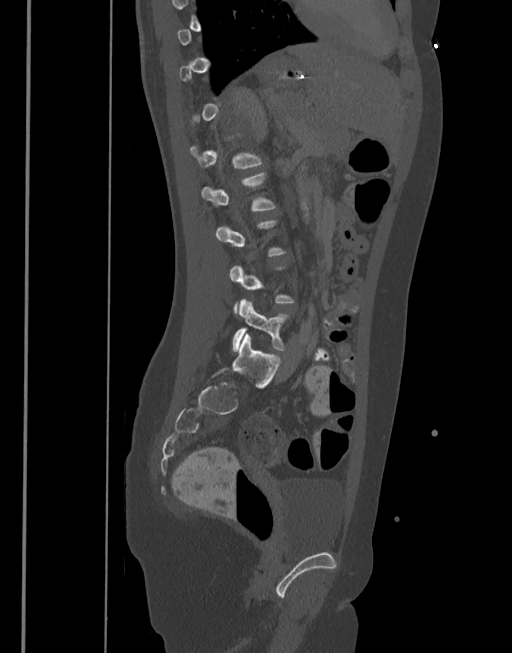
CT, spine — sagittal view — the image spans 377 mm across — 512x653 px

Boxes are (x1, y1, x2, y2) in pixels.
A vertebra is boxed only from the first to the last slice where its cross-section is at least a third of its largest; slices outside that range leave it without a box.
Vertebra bounding boxes:
- L2: (201, 172, 275, 210)
- L5: (232, 299, 288, 351)